Spine computed tomography · sagittal view
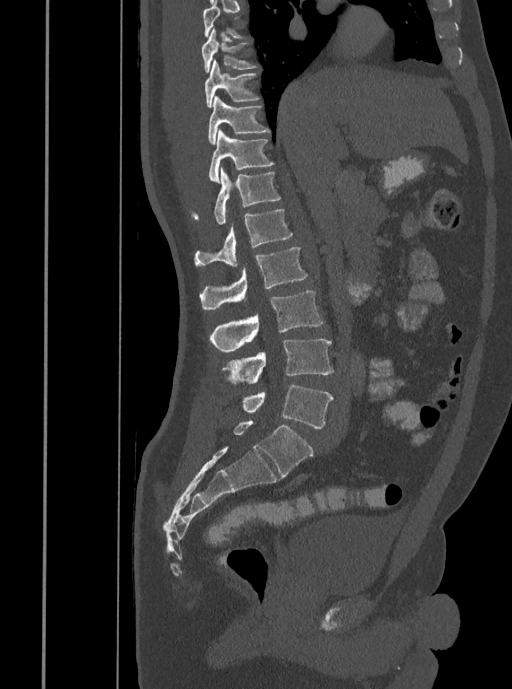
Each row gives a vertebra's box as x1, y1, x2, y2 in pixels: top-left corner, then bottom-right corner.
Not every vertebra on this slice has a box: a vertebra is boxed only from the first to the last slice where its cross-section is at least a third of its largest, and this slice is outside that range for at least one of them.
| vertebra | x1 | y1 | x2 | y2 |
|---|---|---|---|---|
| T8 | 202 | 28 | 257 | 72 |
| T9 | 204 | 59 | 260 | 107 |
| T10 | 208 | 96 | 270 | 144 |
| T11 | 208 | 130 | 275 | 183 |
| T12 | 192 | 167 | 281 | 224 |
| L1 | 193 | 209 | 293 | 267 |
| L2 | 199 | 247 | 308 | 310 |
| L3 | 209 | 290 | 323 | 351 |
| L4 | 222 | 339 | 334 | 384 |
| L5 | 242 | 385 | 333 | 428 |